CT, spine; sagittal view; 512x905 px
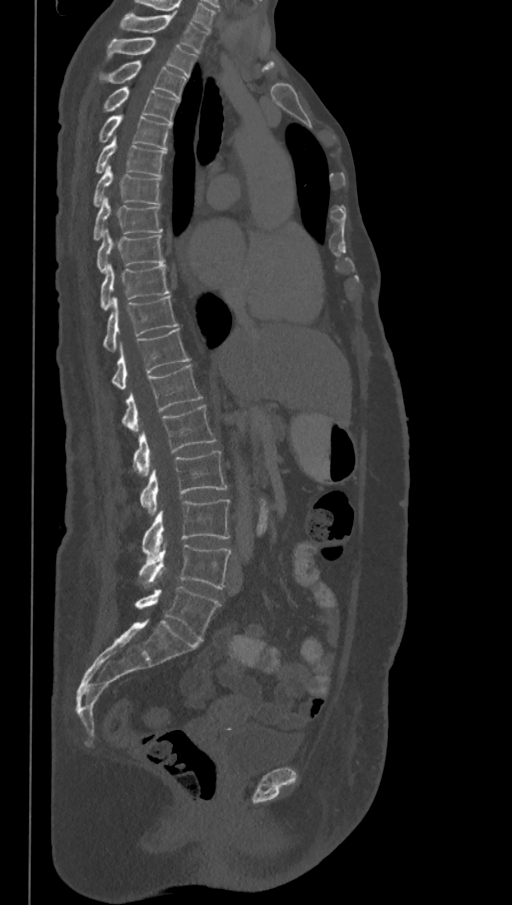
Each box given as x1,y1,x2,y2.
In this scan, the topmost labeled vertebra is T1 and the lowest is L6.
These labels give the spine a sixth lumbar vertebra, L6, below L5.
| vertebra | x1 | y1 | x2 | y2 |
|---|---|---|---|---|
| L6 | 135 | 587 | 220 | 641 |
| L5 | 139 | 545 | 231 | 589 |
| L4 | 142 | 500 | 230 | 556 |
| L3 | 140 | 451 | 227 | 515 |
| L2 | 133 | 404 | 216 | 476 |
| L1 | 121 | 364 | 202 | 431 |
| T12 | 111 | 329 | 189 | 388 |
| T11 | 103 | 296 | 178 | 351 |
| T10 | 100 | 264 | 170 | 311 |
| T9 | 96 | 229 | 164 | 273 |
| T8 | 93 | 195 | 162 | 239 |
| T7 | 93 | 165 | 160 | 206 |
| T6 | 94 | 138 | 166 | 177 |
| T5 | 99 | 115 | 171 | 149 |
| T4 | 103 | 86 | 178 | 124 |
| T3 | 99 | 61 | 187 | 99 |
| T2 | 107 | 38 | 196 | 77 |
| T1 | 119 | 14 | 209 | 53 |